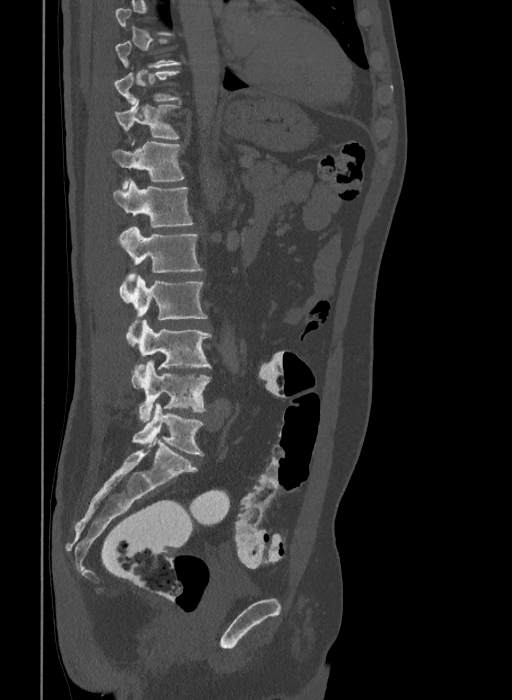 Computed tomography of the spine — sagittal view — bone window — 512x700 px

Box edges are left/top/right/bottom in pixels.
A vertebra gets a box only on the slices from the first to the last where its cross-section is at least a third of its largest; on a slice outside that range it gets none.
These labels give the spine a sixth lumbar vertebra, L6, below L5.
Vertebra bounding boxes:
- L6: left=132, top=403, right=204, bottom=455
- L5: left=131, top=361, right=210, bottom=421
- L4: left=126, top=319, right=210, bottom=369
- L3: left=119, top=275, right=207, bottom=325
- L2: left=118, top=226, right=203, bottom=284
- L1: left=114, top=179, right=193, bottom=227
- T12: left=112, top=140, right=184, bottom=189
- T11: left=115, top=101, right=180, bottom=140
- T10: left=114, top=69, right=180, bottom=105